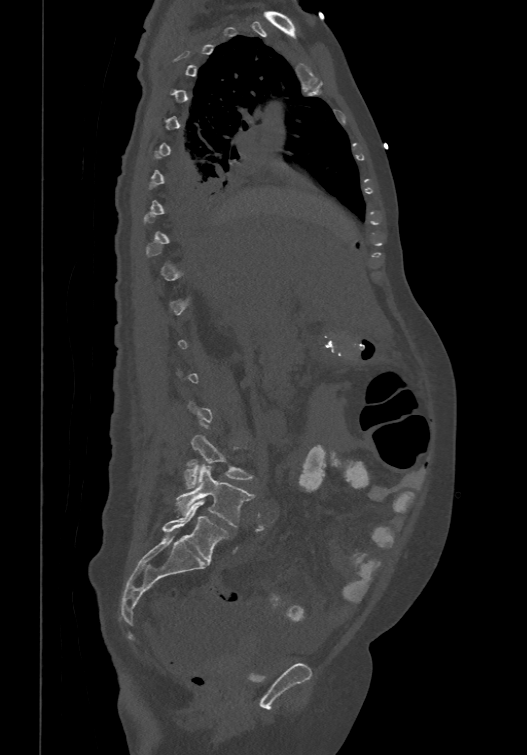
Computed tomography of the spine — sagittal reformat — 474 mm image width
Boxes: x1 y1 x2 y2 (pixel coords, space-separated).
Each vertebra is boxed only on the slices from the first to the last where its cross-section reaches a third of its largest, so a slice outside that range leaves it unboxed.
In these labels the spine has an L6, a sixth lumbar vertebra below L5.
L4: 183 435 252 488
L5: 176 465 253 526
L6: 161 500 227 563